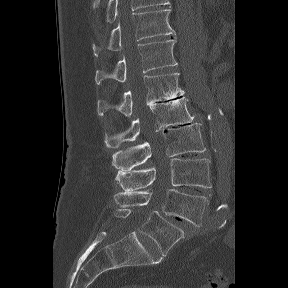 CT spine — sagittal view
These labels give the spine a sixth lumbar vertebra, L6, below L5.
<vertebrae><v name="T11" x1="92" y1="9" x2="175" y2="56"/><v name="T12" x1="95" y1="37" x2="177" y2="84"/><v name="L1" x1="97" y1="73" x2="184" y2="116"/><v name="L2" x1="104" y1="97" x2="193" y2="147"/><v name="L3" x1="112" y1="123" x2="205" y2="170"/><v name="L4" x1="115" y1="158" x2="211" y2="191"/><v name="L5" x1="114" y1="189" x2="208" y2="226"/><v name="L6" x1="114" y1="209" x2="184" y2="255"/></vertebrae>